Spine computed tomography — sagittal reformat — Bone window (WL 400, WW 1800) — 10 vertebrae labeled in this scan
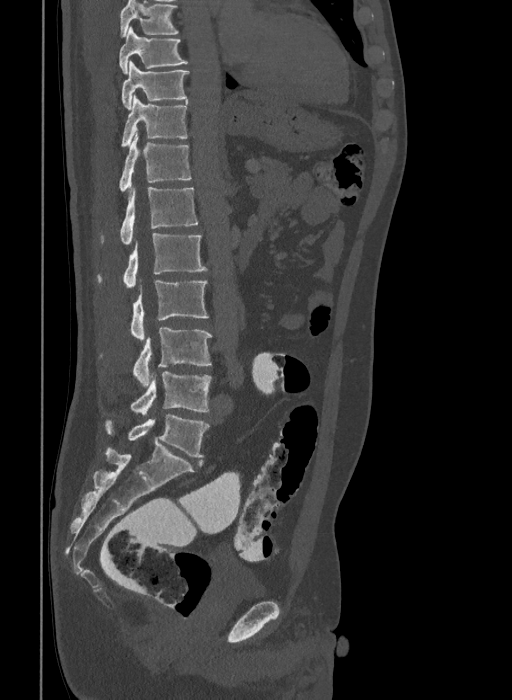

Labels in this scan begin with T9 at the top and end with L6 at the bottom.
In these labels the spine has an L6, a sixth lumbar vertebra below L5.
<vertebrae><v name="T9" x1="119" y1="26" x2="188" y2="74"/><v name="T10" x1="121" y1="61" x2="189" y2="109"/><v name="T11" x1="121" y1="95" x2="188" y2="147"/><v name="T12" x1="119" y1="133" x2="192" y2="191"/><v name="L1" x1="100" y1="187" x2="198" y2="243"/><v name="L2" x1="96" y1="233" x2="207" y2="287"/><v name="L3" x1="130" y1="281" x2="208" y2="340"/><v name="L4" x1="99" y1="327" x2="212" y2="387"/><v name="L5" x1="130" y1="372" x2="212" y2="414"/><v name="L6" x1="105" y1="415" x2="209" y2="456"/></vertebrae>